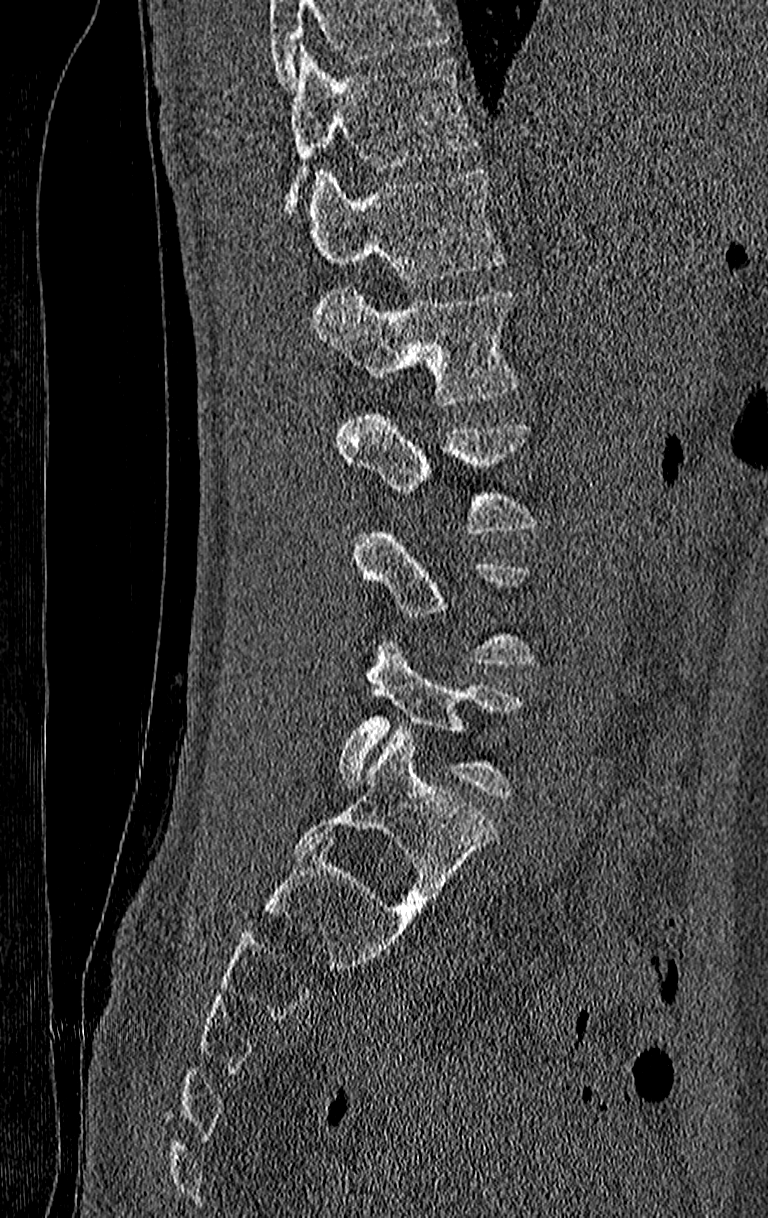

CT, spine · sagittal view · 768x1218 px

Each vertebra maps to its box as [x1, y1, x2, y2], the pixel coordinates of its top-left and bottom-right corners.
Each vertebra is boxed only on the slices from the first to the last where its cross-section reaches a third of its largest, so a slice outside that range leaves it unboxed.
No box is given to a vertebra that the top edge of the scan cuts off.
In this scan, the topmost labeled vertebra is T11 and the lowest is L4.
{"vertebrae":{"T11":[287,48,477,210],"T12":[306,170,506,282],"L1":[310,290,517,405],"L2":[335,410,535,534],"L4":[339,640,521,797]}}